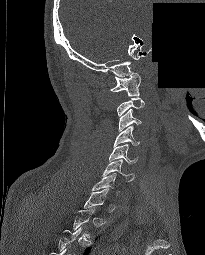
Spine computed tomography — sagittal view — a portion of the image is blanked out (constant pixel value)
Boxes are (x1, y1, x2, y2) in pixels.
A vertebra gets a box only on the slices from the first to the last where its cross-section is at least a third of its largest; on a slice outside that range it gets none.
C1: (110, 73, 140, 96)
C3: (118, 108, 141, 132)
C4: (113, 126, 139, 147)
C5: (109, 144, 138, 163)
C6: (102, 159, 134, 181)
C7: (92, 173, 119, 194)